CT, spine · sagittal view · 10 vertebrae labeled in this scan
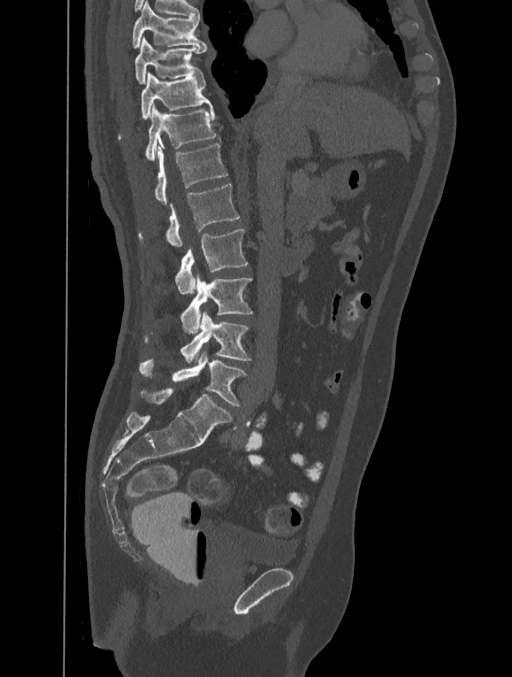
Each box given as x1,y1,x2,y2.
| vertebra | x1 | y1 | x2 | y2 |
|---|---|---|---|---|
| L5 | 139 | 353 | 247 | 407 |
| L4 | 144 | 311 | 252 | 362 |
| L3 | 180 | 277 | 253 | 332 |
| L2 | 175 | 229 | 248 | 294 |
| L1 | 138 | 183 | 239 | 247 |
| T12 | 153 | 144 | 227 | 204 |
| T11 | 144 | 106 | 220 | 160 |
| T10 | 119 | 71 | 212 | 138 |
| T9 | 135 | 37 | 207 | 83 |
| T8 | 131 | 1 | 207 | 47 |